Spine computed tomography; Sagittal slice 269/512; bone-window reconstruction; 16 vertebrae labeled in this scan
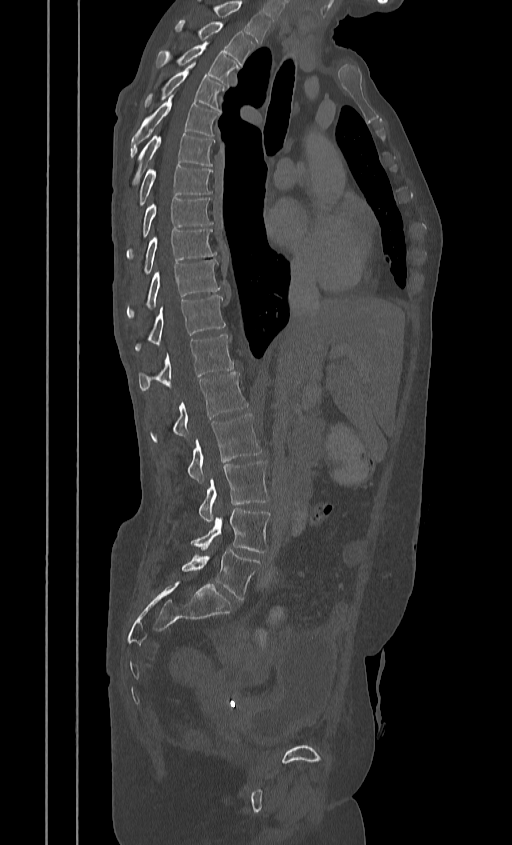 Coordinates as <box>x1,y1,x2,y2</box>. In this scan, the topmost labeled vertebra is T2 and the lowest is L5. Vertebrae labeled: T2 at <box>176,20,255,66</box>, T3 at <box>156,43,237,86</box>, T4 at <box>144,64,225,110</box>, T5 at <box>130,96,219,156</box>, T6 at <box>133,133,213,183</box>, T7 at <box>138,165,212,204</box>, T8 at <box>126,197,213,256</box>, T9 at <box>133,229,216,284</box>, T10 at <box>126,260,219,318</box>, T11 at <box>134,295,225,350</box>, T12 at <box>138,335,233,390</box>, L1 at <box>173,372,248,438</box>, L2 at <box>188,413,261,483</box>, L3 at <box>198,461,269,522</box>, L4 at <box>190,508,271,552</box>, L5 at <box>181,549,260,600</box>.